Spine CT. Sagittal slice 230/512. 500 mm image width. bone-window reconstruction
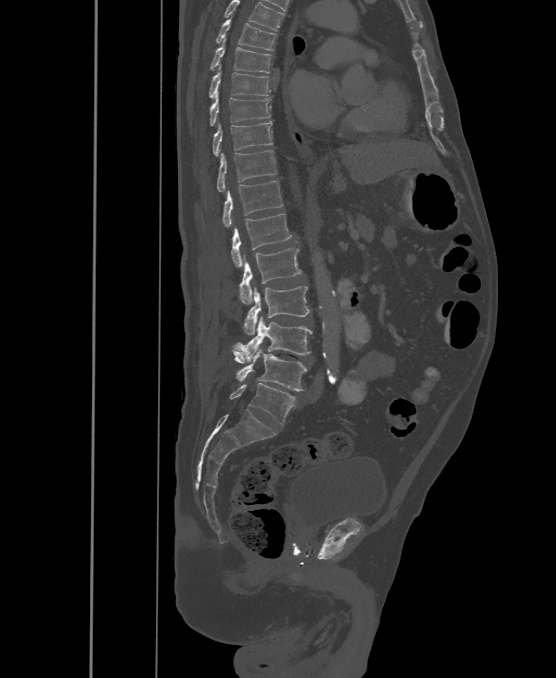 Bounding boxes as [x1, y1, x2, y2] in pixel coordinates.
This scan's labels start at T6 at the top and end at L6 at the bottom.
The labels name a sixth lumbar vertebra for this spine: L6, after L5.
L6: [230, 383, 295, 425]
L5: [231, 348, 307, 390]
L4: [231, 316, 313, 362]
L3: [243, 286, 309, 335]
L2: [240, 248, 302, 304]
L1: [231, 214, 291, 267]
T12: [222, 180, 282, 227]
T11: [217, 150, 276, 192]
T10: [213, 121, 272, 156]
T9: [211, 94, 270, 125]
T8: [208, 65, 270, 97]
T7: [211, 39, 271, 73]
T6: [216, 18, 276, 50]